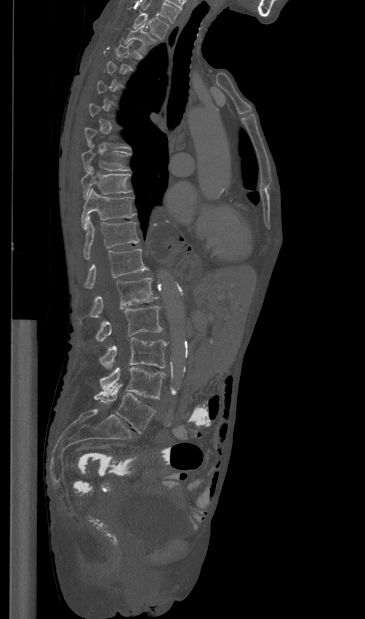
Computed tomography of the spine. sagittal view. W/L 1800/400 HU. 365 mm wide. 365x619 px
Box edges are left/top/right/bottom in pixels.
Each vertebra is boxed only on the slices from the first to the last where its cross-section reaches a third of its largest, so a slice outside that range leaves it unboxed.
Labels in this scan begin with T1 at the top and end with L5 at the bottom.
Vertebra bounding boxes:
- T1: left=133, top=13, right=169, bottom=39
- T2: left=124, top=25, right=155, bottom=51
- T8: left=81, top=145, right=129, bottom=172
- T9: left=81, top=166, right=131, bottom=199
- T10: left=81, top=188, right=135, bottom=229
- T11: left=83, top=217, right=139, bottom=259
- T12: left=85, top=249, right=148, bottom=288
- L1: left=80, top=278, right=158, bottom=322
- L2: left=95, top=306, right=162, bottom=341
- L3: left=99, top=337, right=167, bottom=369
- L4: left=100, top=367, right=165, bottom=399
- L5: left=94, top=384, right=155, bottom=433